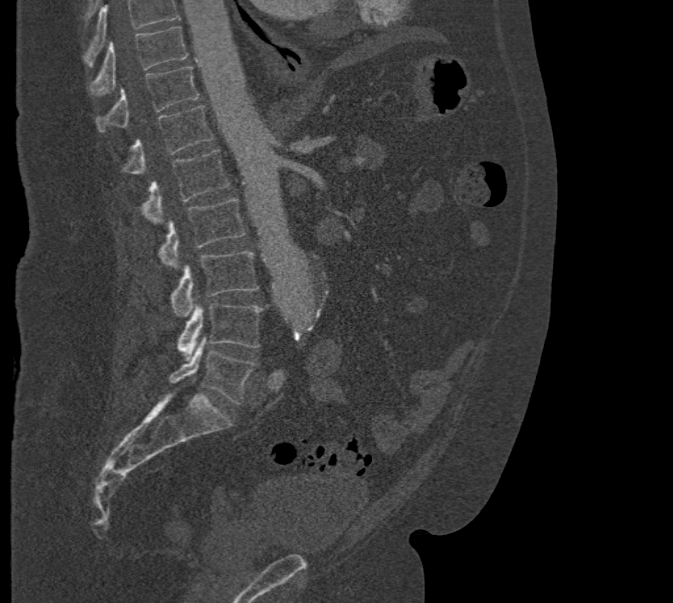 Computed tomography of the spine · sagittal view · 673x603 px
Boxes: x1 y1 x2 y2 (pixel coords, space-separated).
No box is given to a vertebra that the top edge of the scan cuts off.
Vertebra bounding boxes:
- L5: 168 338 253 404
- L4: 177 303 263 359
- L3: 171 250 259 317
- L2: 160 199 245 269
- L1: 142 149 229 224
- T12: 122 105 213 174
- T11: 96 66 199 131
- T10: 87 26 187 95